CT, spine; sagittal plane, index 246; 512x513 px; scan covers 14 annotated vertebrae
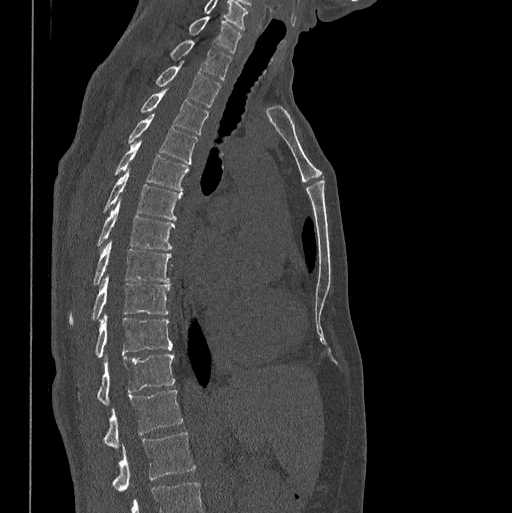

The highest labeled vertebra in this scan is C7; the lowest is L1.
<vertebrae><v name="C7" x1="189" y1="16" x2="241" y2="52"/><v name="T1" x1="170" y1="39" x2="232" y2="80"/><v name="T2" x1="156" y1="61" x2="220" y2="107"/><v name="T3" x1="140" y1="88" x2="209" y2="133"/><v name="T4" x1="128" y1="115" x2="197" y2="163"/><v name="T5" x1="114" y1="140" x2="188" y2="190"/><v name="T6" x1="103" y1="169" x2="182" y2="220"/><v name="T7" x1="98" y1="200" x2="174" y2="249"/><v name="T8" x1="92" y1="240" x2="171" y2="284"/><v name="T9" x1="69" y1="277" x2="169" y2="325"/><v name="T10" x1="95" y1="315" x2="173" y2="357"/><v name="T11" x1="96" y1="353" x2="175" y2="404"/><v name="T12" x1="103" y1="389" x2="183" y2="447"/><v name="L1" x1="112" y1="432" x2="196" y2="491"/></vertebrae>